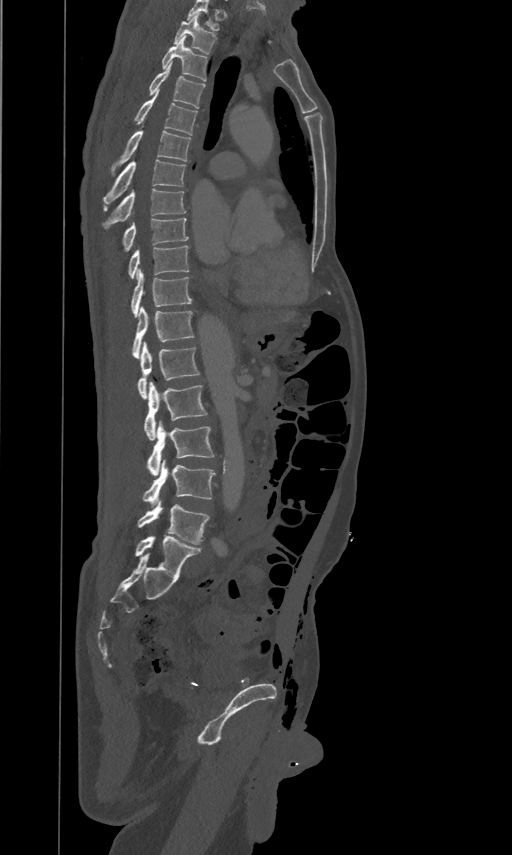

CT spine; sagittal view

Boxes are (x1, y1, x2, y2) in pixels.
The highest labeled vertebra in this scan is T2; the lowest is L5.
L5: (138, 501, 209, 544)
L4: (142, 461, 215, 502)
L3: (147, 421, 214, 475)
L2: (144, 381, 206, 440)
L1: (138, 341, 200, 398)
T12: (133, 305, 193, 358)
T11: (130, 269, 192, 317)
T10: (128, 244, 189, 278)
T9: (121, 216, 188, 250)
T8: (101, 187, 186, 229)
T7: (104, 159, 186, 208)
T6: (113, 129, 190, 166)
T5: (135, 89, 197, 135)
T4: (150, 61, 204, 108)
T3: (162, 35, 206, 81)
T2: (173, 13, 215, 54)